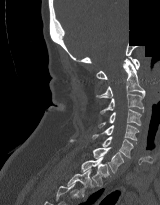

CT spine · sagittal view · bone window · 160x205 px · an area of the scan was removed and filled with constant pixels

Box edges are left/top/right/bottom in pixels.
| vertebra | x1 | y1 | x2 | y2 |
|---|---|---|---|---|
| T2 | 67 | 169 | 94 | 196 |
| T1 | 81 | 157 | 109 | 186 |
| C7 | 70 | 139 | 123 | 172 |
| C6 | 102 | 136 | 133 | 157 |
| C5 | 92 | 124 | 140 | 140 |
| C4 | 98 | 109 | 141 | 128 |
| C3 | 100 | 94 | 144 | 114 |
| C2 | 96 | 59 | 145 | 98 |
| C1 | 96 | 57 | 139 | 79 |